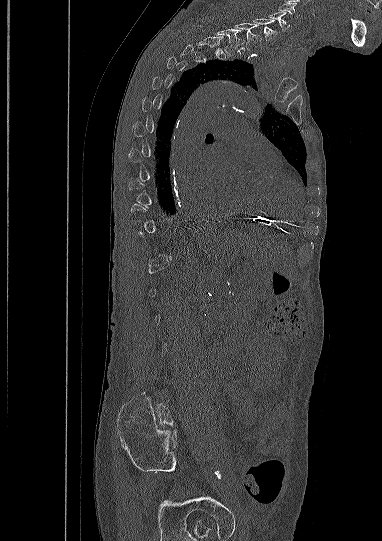 CT spine; sagittal view; Bone window (WL 400, WW 1800)
Boxes below are [x1, y1, x2, y2] in pixels.
Each vertebra is boxed only on the slices from the first to the last where its cross-section reaches a third of its largest, so a slice outside that range leaves it unboxed.
This scan's labels start at C5 at the top and end at L5 at the bottom.
{"vertebrae":{"C5":[268,11,289,30],"C6":[253,19,276,40],"C7":[235,23,261,49],"T1":[214,27,243,56]}}